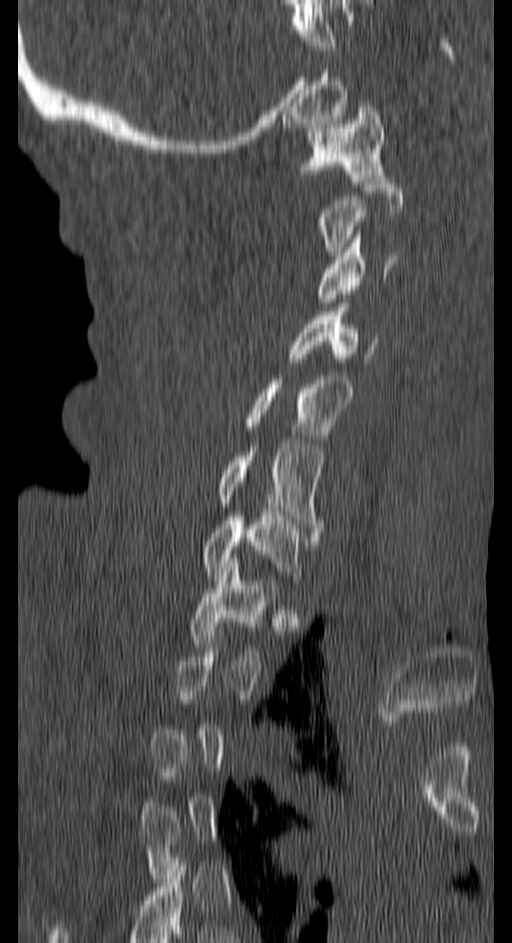
CT spine — sagittal view — 512x943 px
A vertebra is boxed only from the first to the last slice where its cross-section is at least a third of its largest; slices outside that range leave it without a box.
<vertebrae><v name="T1" x1="189" y1="559" x2="277" y2="652"/><v name="C7" x1="203" y1="512" x2="301" y2="584"/><v name="C6" x1="216" y1="444" x2="321" y2="537"/><v name="C5" x1="244" y1="375" x2="352" y2="438"/><v name="C4" x1="290" y1="303" x2="376" y2="366"/><v name="C3" x1="319" y1="230" x2="397" y2="302"/><v name="C1" x1="302" y1="102" x2="383" y2="182"/></vertebrae>